Spine CT — sagittal reformat
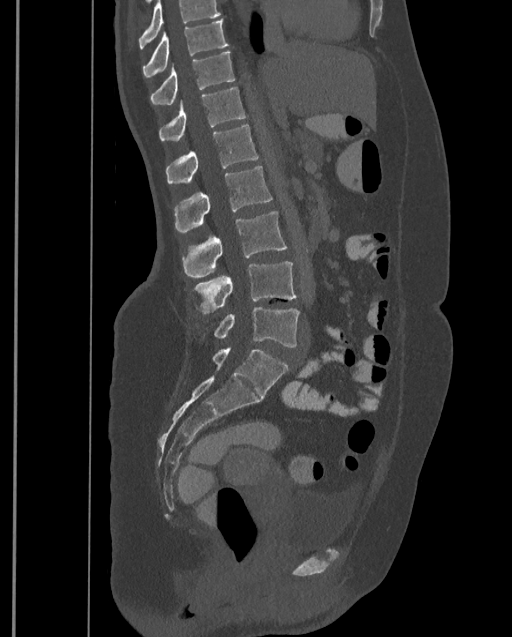

Bounding boxes as [x1, y1, x2, y2] in pixel coordinates. A vertebra cut off by the top edge of the scan is not labeled and has no box. Labels in this scan begin with T9 at the top and end with L4 at the bottom. The labeled vertebrae in this slice are: L4 at [214, 306, 299, 347], L3 at [194, 262, 297, 314], L2 at [182, 211, 286, 277], L1 at [174, 165, 272, 232], T12 at [165, 125, 258, 184], T11 at [159, 87, 245, 141], T10 at [150, 51, 235, 104], T9 at [142, 20, 229, 78].